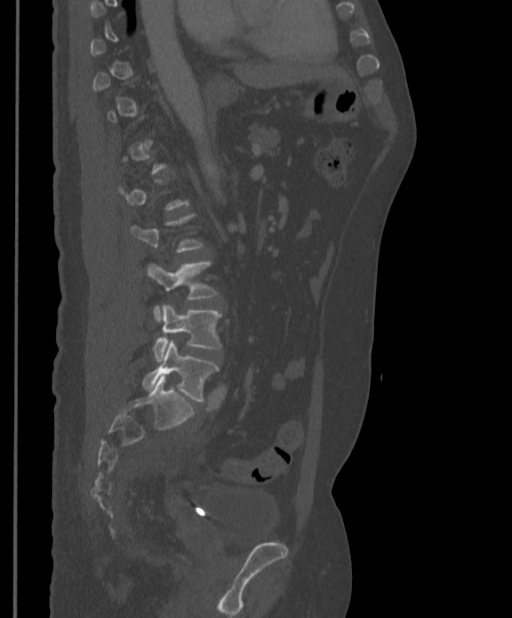
CT — sagittal view — Bone window (WL 400, WW 1800)
Boxes below are [x1, y1, x2, y2] in pixels.
A vertebra gets a box only on the slices from the first to the last where its cross-section is at least a third of its largest; on a slice outside that range it gets none.
{"vertebrae":{"L3":[147,261,217,319],"L4":[153,304,221,361],"L5":[142,340,218,401]}}